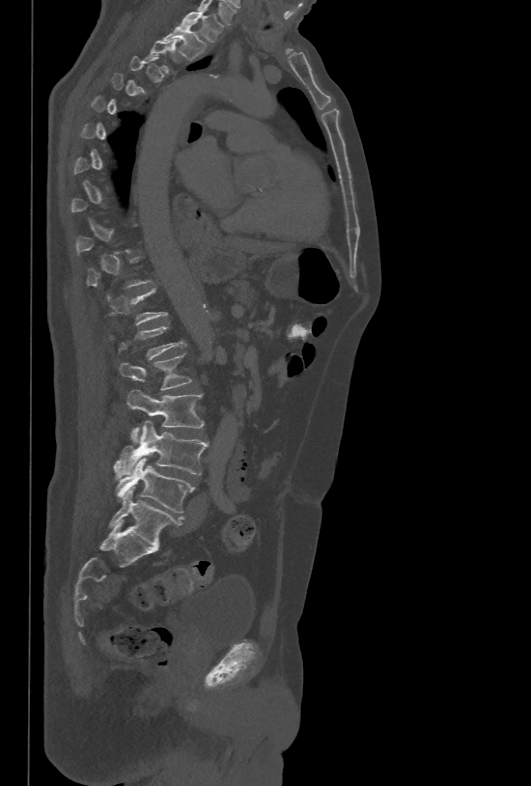
CT spine · sagittal view · 478 mm across the image · Bone window (WL 400, WW 1800) · 531x786 px
Each box given as x1,y1,x2,y2.
Each vertebra is boxed only on the slices from the first to the last where its cross-section reaches a third of its largest, so a slice outside that range leaves it unboxed.
T1: x1=179, y1=10, x2=222, y2=42
T2: x1=162, y1=27, x2=206, y2=61
L2: x1=119, y1=354, x2=192, y2=389
L3: x1=127, y1=389, x2=203, y2=443
L4: x1=113, y1=420, x2=208, y2=475
L5: x1=115, y1=457, x2=194, y2=513